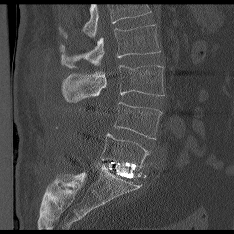
Computed tomography of the spine; sagittal reformat; 234 mm across the image; 234x234 px. Box edges are left/top/right/bottom in pixels.
No box is given to a vertebra that the top edge of the scan cuts off.
L2: left=60, top=25, right=160, bottom=68
L3: left=62, top=65, right=164, bottom=102
L4: left=114, top=102, right=161, bottom=139
L5: left=101, top=133, right=149, bottom=167